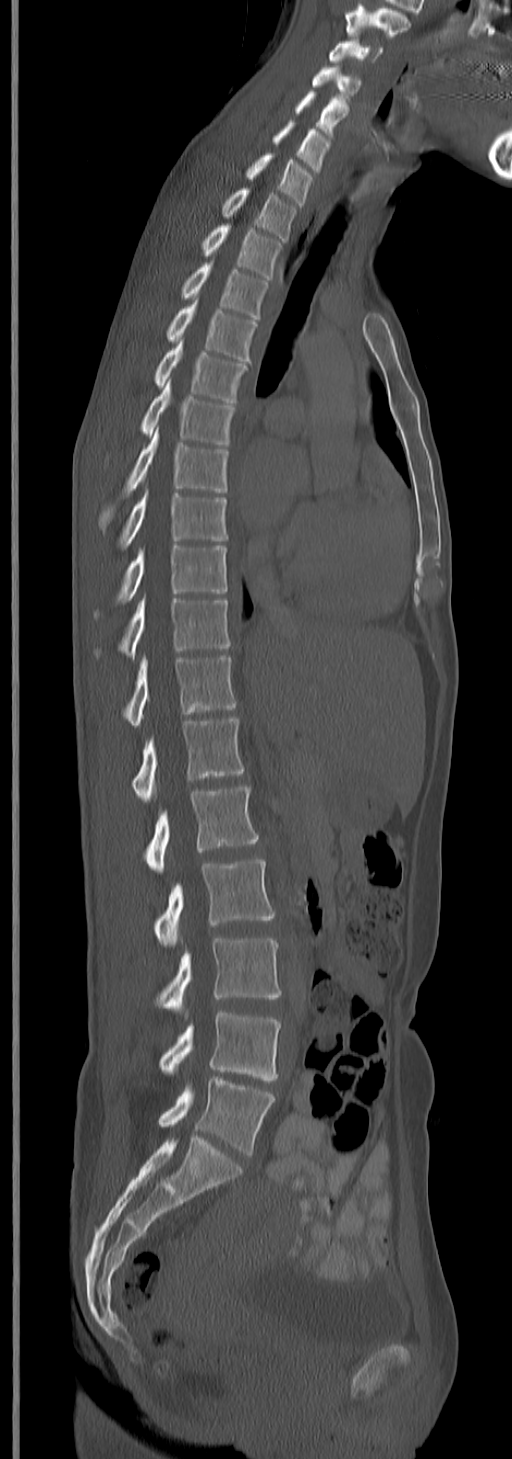

Spine computed tomography · sagittal view · Bone window (WL 400, WW 1800)
Boxes are (x1, y1, x2, y2) in pixels.
This scan's labels start at C3 at the top and end at L5 at the bottom.
Vertebra bounding boxes:
- C3: (329, 38, 384, 64)
- C4: (312, 67, 361, 108)
- C5: (295, 93, 346, 139)
- C6: (272, 122, 330, 173)
- C7: (245, 153, 313, 206)
- T1: (222, 189, 296, 240)
- T2: (201, 224, 282, 280)
- T3: (180, 262, 269, 319)
- T4: (166, 299, 257, 361)
- T5: (153, 341, 246, 405)
- T6: (141, 381, 234, 445)
- T7: (99, 427, 227, 530)
- T8: (118, 490, 227, 549)
- T9: (95, 544, 227, 618)
- T10: (95, 596, 229, 658)
- T11: (124, 655, 236, 727)
- T12: (132, 718, 244, 802)
- L1: (145, 784, 259, 873)
- L2: (153, 858, 275, 946)
- L3: (155, 937, 282, 1011)
- L4: (159, 1010, 282, 1082)
- L5: (157, 1077, 275, 1155)